CT · sagittal reformat · bone-window reconstruction · 512x483 px · scan covers 9 annotated vertebrae
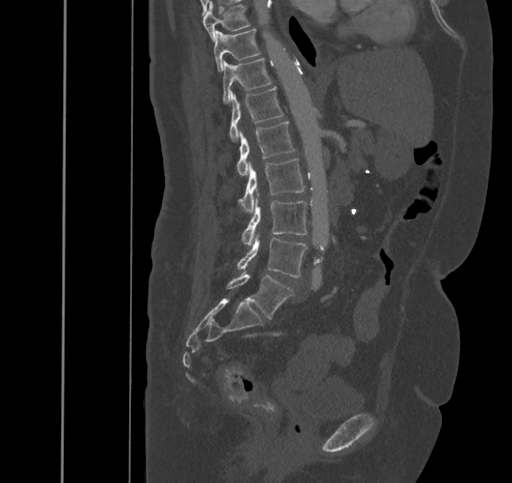

Box edges are left/top/right/bottom in pixels.
Vertebra bounding boxes:
- L5: left=227, top=270, right=293, bottom=318
- L4: left=237, top=237, right=307, bottom=277
- L3: left=242, top=200, right=307, bottom=244
- L2: left=239, top=158, right=305, bottom=211
- L1: left=236, top=121, right=296, bottom=175
- T12: left=229, top=87, right=283, bottom=142
- T11: left=222, top=58, right=272, bottom=103
- T10: left=214, top=28, right=260, bottom=71
- T9: left=202, top=2, right=250, bottom=40